CT — sagittal view — part of the image is constant black where the scan was masked
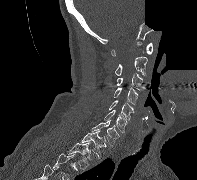

Each row gives a vertebra's box as x1, y1, x2, y2 in pixels: top-left corner, then bottom-right corner.
The highest labeled vertebra in this scan is C1; the lowest is T2.
| vertebra | x1 | y1 | x2 | y2 |
|---|---|---|---|---|
| C1 | 111 | 42 | 152 | 56 |
| C2 | 114 | 56 | 147 | 76 |
| C3 | 117 | 73 | 142 | 90 |
| C4 | 114 | 87 | 137 | 104 |
| C5 | 109 | 100 | 134 | 120 |
| C6 | 104 | 110 | 127 | 132 |
| C7 | 92 | 120 | 119 | 145 |
| T1 | 81 | 129 | 106 | 158 |
| T2 | 67 | 142 | 90 | 169 |